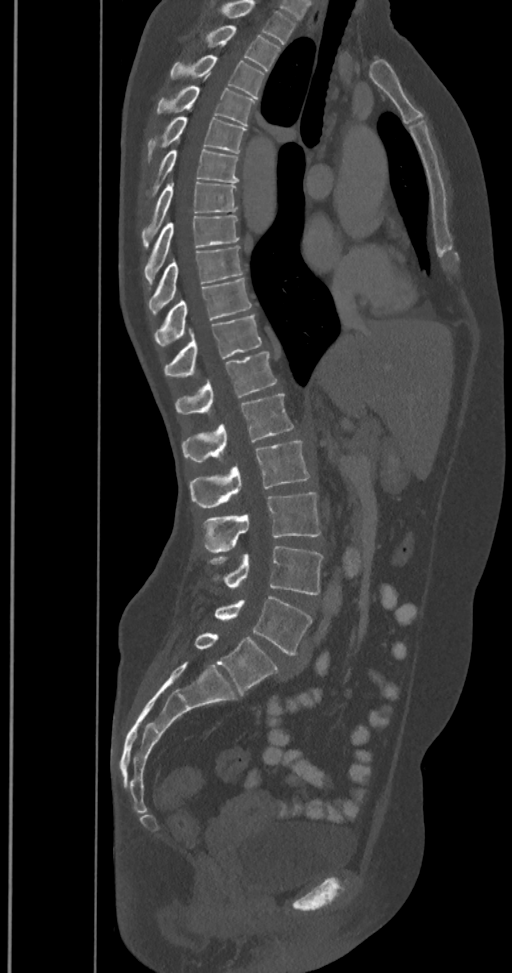

CT, spine — sagittal view

Labels in this scan begin with T2 at the top and end with L6 at the bottom.
These labels give the spine a sixth lumbar vertebra, L6, below L5.
<vertebrae><v name="L6" x1="194" y1="632" x2="278" y2="695"/><v name="L5" x1="215" y1="595" x2="312" y2="655"/><v name="L4" x1="209" y1="546" x2="322" y2="594"/><v name="L3" x1="202" y1="492" x2="321" y2="552"/><v name="L2" x1="190" y1="441" x2="310" y2="507"/><v name="L1" x1="181" y1="394" x2="293" y2="462"/><v name="T12" x1="175" y1="352" x2="277" y2="415"/><v name="T11" x1="164" y1="315" x2="261" y2="377"/><v name="T10" x1="155" y1="278" x2="252" y2="347"/><v name="T9" x1="149" y1="246" x2="242" y2="314"/><v name="T8" x1="145" y1="216" x2="239" y2="285"/><v name="T7" x1="142" y1="180" x2="237" y2="247"/><v name="T6" x1="146" y1="150" x2="239" y2="199"/><v name="T5" x1="146" y1="116" x2="246" y2="162"/><v name="T4" x1="156" y1="86" x2="255" y2="125"/><v name="T3" x1="169" y1="55" x2="264" y2="99"/><v name="T2" x1="203" y1="25" x2="280" y2="71"/></vertebrae>